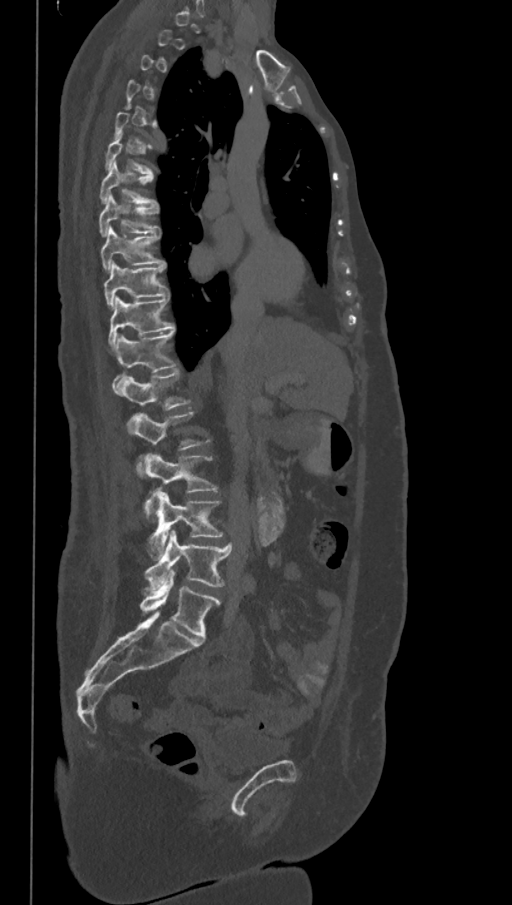
CT — sagittal view — Bone window (WL 400, WW 1800) — 512x905 px — the image is 368 mm wide
Each box given as x1,y1,x2,y2.
Not every vertebra on this slice has a box: a vertebra is boxed only from the first to the last slice where its cross-section is at least a third of its largest, and this slice is outside that range for at least one of them.
These labels give the spine a sixth lumbar vertebra, L6, below L5.
Vertebra bounding boxes:
- L6: x1=139, y1=570, x2=221, y2=638
- L5: x1=144, y1=530, x2=233, y2=590
- L4: x1=147, y1=490, x2=223, y2=557
- L3: x1=144, y1=453, x2=219, y2=519
- L2: x1=135, y1=412, x2=210, y2=477
- L1: x1=124, y1=369, x2=191, y2=434
- T12: x1=112, y1=329, x2=177, y2=395
- T11: x1=108, y1=296, x2=175, y2=350
- T10: x1=104, y1=262, x2=169, y2=310
- T9: x1=100, y1=227, x2=166, y2=269
- T8: x1=99, y1=193, x2=159, y2=237
- T7: x1=99, y1=162, x2=157, y2=204
- T6: x1=104, y1=133, x2=153, y2=176